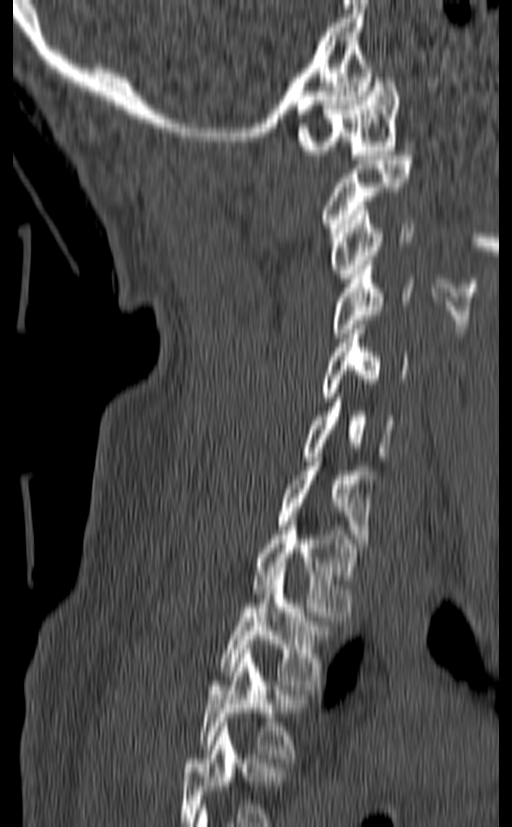

CT — sagittal view — W/L 1800/400 HU. In the table, x1 and y1 are a box's top-left corner and x2 and y2 its bottom-right corner, in pixels.
This scan's labels start at C1 at the top and end at T3 at the bottom.
| vertebra | x1 | y1 | x2 | y2 |
|---|---|---|---|---|
| C1 | 297 | 73 | 400 | 159 |
| C2 | 320 | 155 | 414 | 232 |
| C3 | 330 | 206 | 414 | 282 |
| C4 | 330 | 265 | 414 | 337 |
| C5 | 320 | 320 | 410 | 401 |
| C6 | 301 | 393 | 395 | 461 |
| C7 | 278 | 457 | 375 | 548 |
| T1 | 253 | 521 | 356 | 616 |
| T2 | 220 | 571 | 331 | 689 |
| T3 | 199 | 649 | 307 | 762 |